Computed tomography of the spine — sagittal view — Bone window (WL 400, WW 1800) — scan covers 9 annotated vertebrae
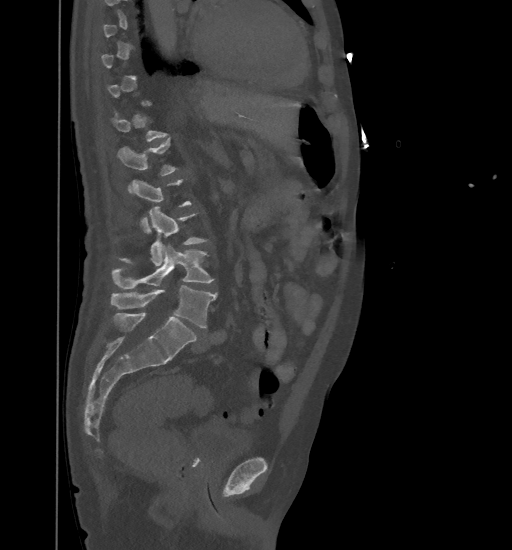
Boxes: x1:y1:x2:y2 in pixels. A vertebra is boxed only from the first to the last slice where its cross-section is at least a third of its largest; slices outside that range leave it without a box. Vertebrae labeled: L1 at 117:139:177:192, L3 at 119:207:207:266, L4 at 112:244:214:288, L5 at 111:286:217:328.